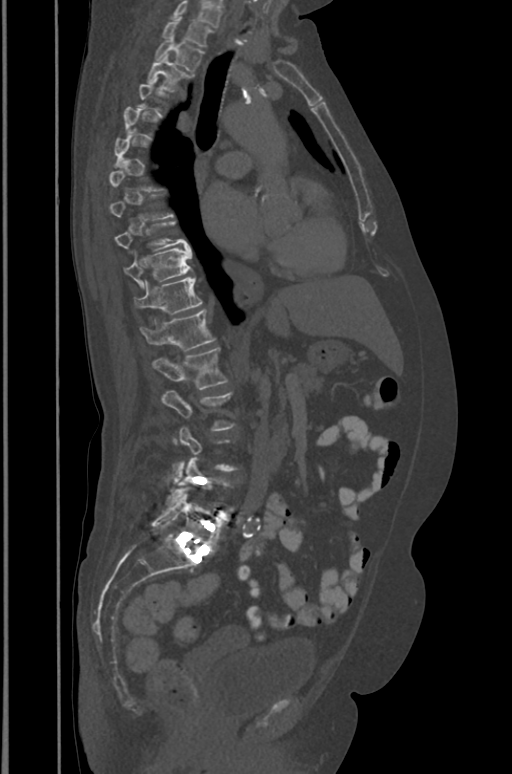

CT spine. 391 mm across the image. sagittal reformat. W/L 1800/400 HU. 512x774 px. Boxes: x1 y1 x2 y2 (pixel coords, space-separated).
Each vertebra is boxed only on the slices from the first to the last where its cross-section reaches a third of its largest, so a slice outside that range leaves it unboxed.
This scan's labels start at T1 at the top and end at L5 at the bottom.
Vertebra bounding boxes:
- T1: 161 17 211 47
- T2: 154 38 203 71
- T3: 147 56 193 91
- T9: 115 221 189 250
- T10: 124 247 192 286
- T11: 134 277 202 315
- T12: 140 308 215 349
- L1: 152 347 227 389
- L2: 162 390 235 430
- L5: 152 490 223 552